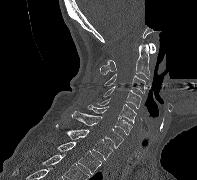
CT, spine · sagittal view · part of the scan has been removed (filled with constant black)

Box edges are left/top/right/bottom in pixels.
| vertebra | x1 | y1 | x2 | y2 |
|---|---|---|---|---|
| T2 | 57 | 142 | 101 | 174 |
| T1 | 56 | 124 | 113 | 160 |
| C7 | 71 | 111 | 123 | 148 |
| C6 | 87 | 104 | 132 | 134 |
| C5 | 96 | 98 | 136 | 123 |
| C4 | 103 | 86 | 141 | 108 |
| C3 | 103 | 74 | 145 | 93 |
| C2 | 100 | 44 | 150 | 78 |
| C1 | 149 | 43 | 155 | 53 |